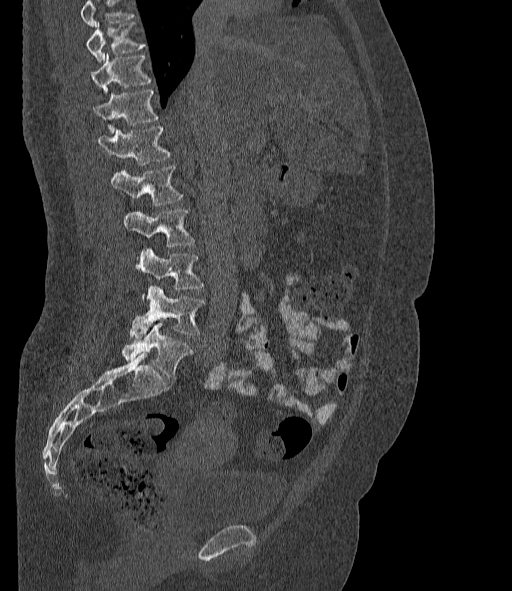 CT — sagittal view
Boxes: x1 y1 x2 y2 (pixel coords, space-separated).
A vertebra cut off by the top edge of the scan is not labeled and has no box.
The labels name a sixth lumbar vertebra for this spine: L6, after L5.
T10: 87 22 145 61
T11: 91 53 151 94
T12: 94 90 159 133
L1: 99 126 170 165
L2: 111 166 184 205
L3: 123 209 196 246
L4: 137 249 204 300
L5: 129 285 204 339
L6: 122 322 193 379